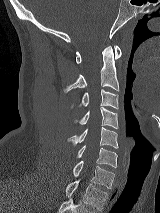 Spine computed tomography. sagittal view. bone-window reconstruction. the image spans 160 mm across
Each vertebra maps to its box as [x1, y1, x2, y2], the pixel coordinates of its top-left and bottom-right corners.
{"vertebrae":{"C1":[76,46,121,63],"C2":[64,46,119,93],"C3":[72,89,118,109],"C4":[75,107,118,128],"C5":[68,127,118,148],"C6":[77,145,117,167],"C7":[73,160,114,188],"T1":[65,180,107,210]}}